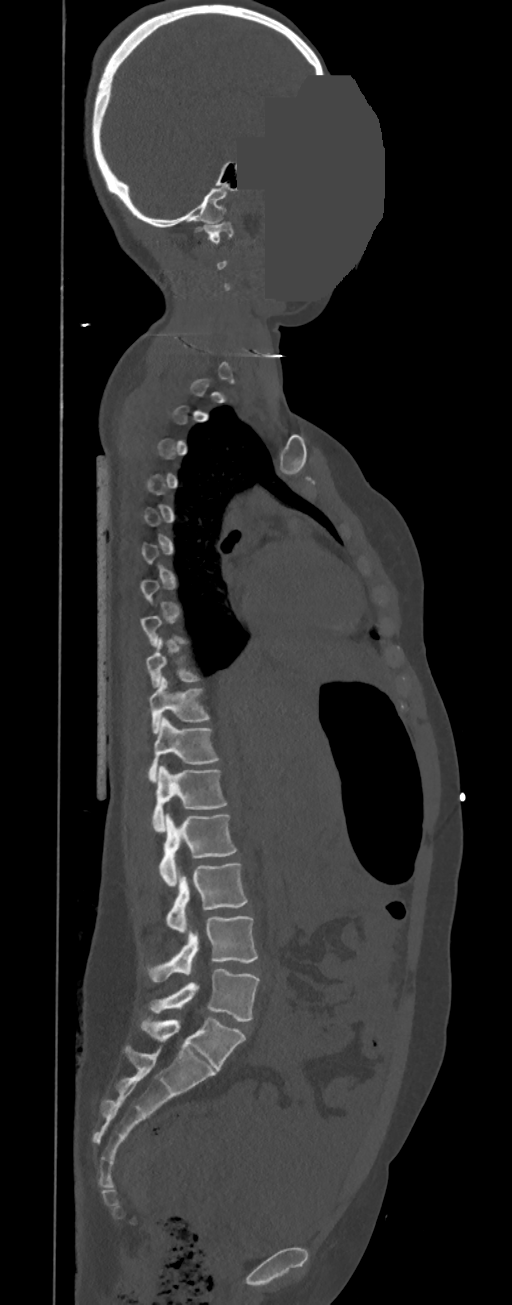
Spine computed tomography · sagittal view · 512x1305 px · part of the image is a flat gray fill, not anatomy

A vertebra gets a box only on the slices from the first to the last where its cross-section is at least a third of its largest; on a slice outside that range it gets none.
In these labels the spine has no T12: the thoracic vertebrae end at T11, and L1 comes next.
<vertebrae><v name="C1" x1="203" y1="221" x2="233" y2="244"/><v name="T10" x1="149" y1="677" x2="209" y2="734"/><v name="T11" x1="148" y1="716" x2="218" y2="782"/><v name="L1" x1="152" y1="766" x2="227" y2="832"/><v name="L2" x1="159" y1="814" x2="236" y2="886"/><v name="L3" x1="167" y1="862" x2="247" y2="932"/><v name="L4" x1="148" y1="916" x2="258" y2="982"/><v name="L5" x1="149" y1="968" x2="259" y2="1022"/></vertebrae>